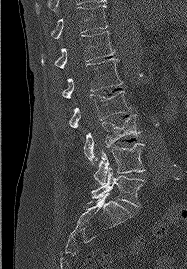

Spine CT — sagittal reformat — 187x269 px
Boxes: x1:y1:x2:y2 in pixels.
L5: 91:168:144:206
L4: 94:143:145:184
L3: 83:114:139:164
L2: 68:91:130:127
L1: 62:58:122:98
T12: 42:31:114:68
T11: 51:5:108:38